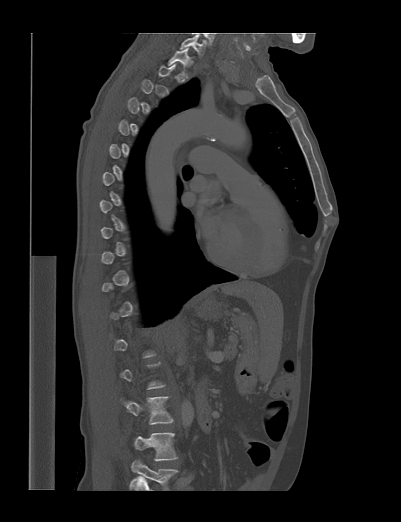 Spine CT — sagittal reformat — Bone window (WL 400, WW 1800) — 401 mm across the image — 401x522 px
Each vertebra is boxed only on the slices from the first to the last where its cross-section reaches a third of its largest, so a slice outside that range leaves it unboxed.
This scan's labels start at T1 at the top and end at L4 at the bottom.
<vertebrae><v name="T1" x1="167" y1="48" x2="193" y2="71"/><v name="L3" x1="120" y1="396" x2="173" y2="424"/><v name="L4" x1="134" y1="432" x2="177" y2="461"/></vertebrae>